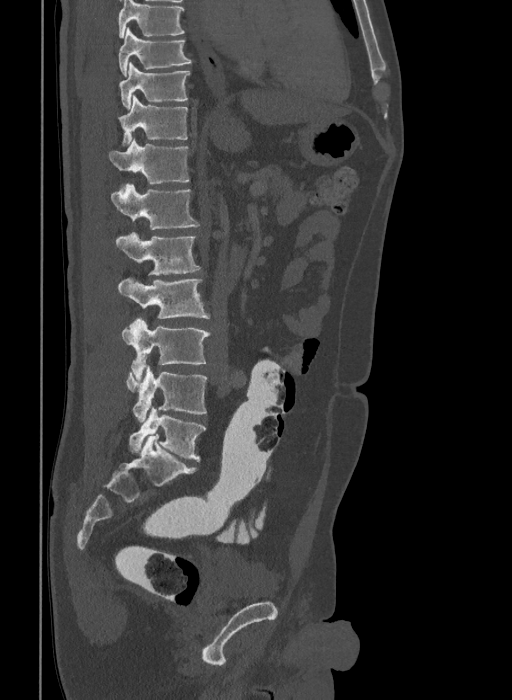
CT — sagittal reformat — bone-window reconstruction
Coordinates as <box>x1,y1,x2,y2</box>.
Labels in this scan begin with T9 at the top and end with L6 at the bottom.
The labels name a sixth lumbar vertebra for this spine: L6, after L5.
Vertebra bounding boxes:
- L6: <box>129,407,205,461</box>
- L5: <box>126,365,207,421</box>
- L4: <box>122,318,210,380</box>
- L3: <box>118,278,209,318</box>
- L2: <box>115,232,200,274</box>
- L1: <box>111,184,199,229</box>
- T12: <box>109,137,189,189</box>
- T11: <box>119,96,188,144</box>
- T10: <box>119,62,190,109</box>
- T9: <box>119,27,192,77</box>